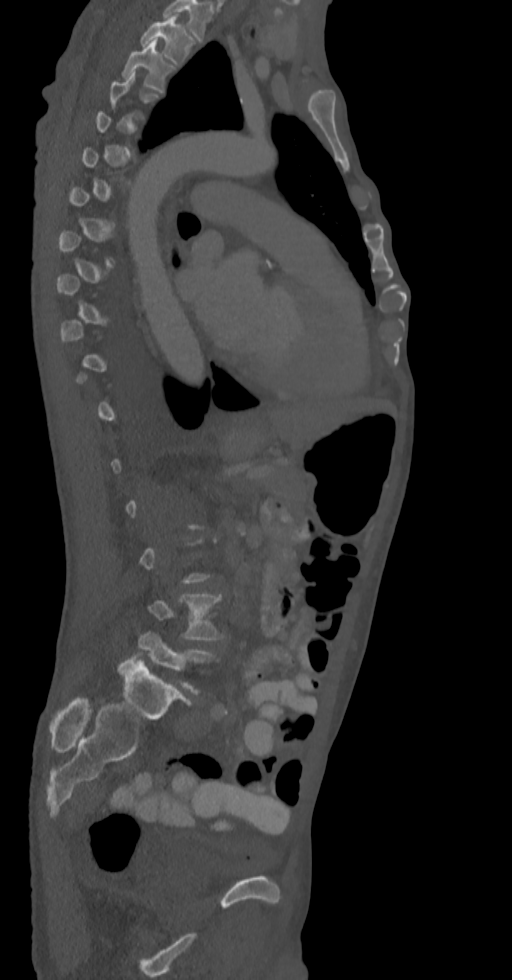

CT spine; sagittal view
A vertebra is boxed only from the first to the last slice where its cross-section is at least a third of its largest; slices outside that range leave it without a box.
<vertebrae><v name="T2" x1="141" y1="14" x2="192" y2="65"/><v name="T3" x1="122" y1="41" x2="163" y2="92"/><v name="L4" x1="149" y1="594" x2="224" y2="639"/><v name="L5" x1="138" y1="632" x2="214" y2="692"/></vertebrae>